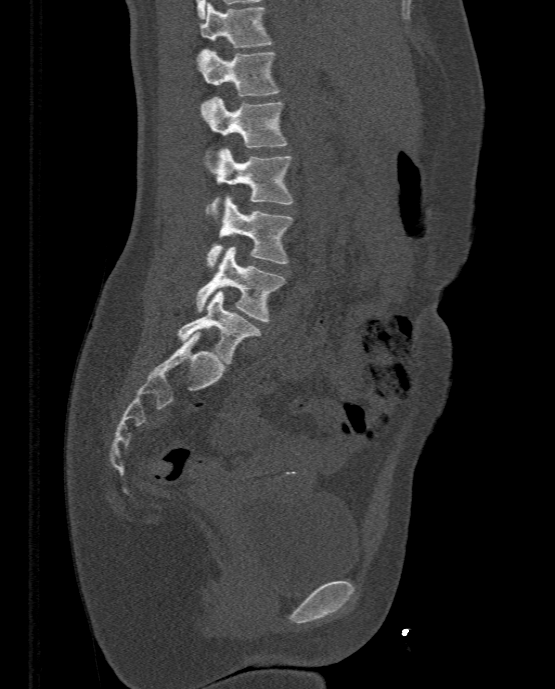

CT spine; sagittal reformat; bone window; 555x689 px
Bounding boxes as [x1, y1, x2, y2] in pixel coordinates.
T11: [199, 3, 272, 47]
T12: [196, 49, 279, 96]
L1: [202, 97, 287, 147]
L2: [205, 148, 292, 214]
L3: [206, 195, 292, 270]
L4: [196, 246, 285, 321]
L5: [178, 290, 260, 363]